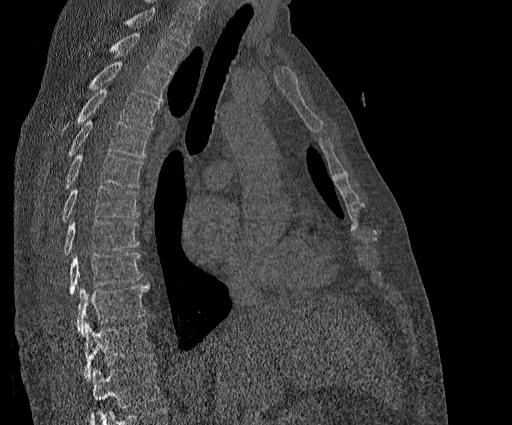 CT spine · sagittal view · image width 384 mm

No box is given to a vertebra that the top edge of the scan cuts off.
The highest labeled vertebra in this scan is T2; the lowest is T11.
<vertebrae><v name="T2" x1="89" y1="33" x2="184" y2="74"/><v name="T3" x1="88" y1="61" x2="169" y2="100"/><v name="T4" x1="61" y1="89" x2="160" y2="134"/><v name="T5" x1="66" y1="120" x2="149" y2="158"/><v name="T6" x1="65" y1="153" x2="143" y2="188"/><v name="T7" x1="61" y1="187" x2="139" y2="222"/><v name="T8" x1="62" y1="220" x2="139" y2="255"/><v name="T9" x1="69" y1="252" x2="141" y2="295"/><v name="T10" x1="76" y1="284" x2="149" y2="335"/><v name="T11" x1="82" y1="323" x2="153" y2="380"/></vertebrae>